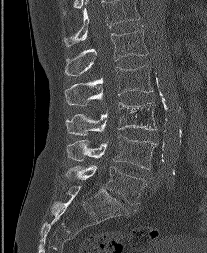
CT, spine · sagittal reformat · bone window · image 207 mm wide. Bounding boxes as [x1, y1, x2, y2] in pixel coordinates. In this scan, the topmost labeled vertebra is L1 and the lowest is L5. The labeled vertebrae in this slice are: L5 at [65, 166, 145, 204], L4 at [66, 135, 158, 169], L3 at [66, 102, 156, 135], L2 at [65, 64, 152, 105], L1 at [65, 25, 148, 76].